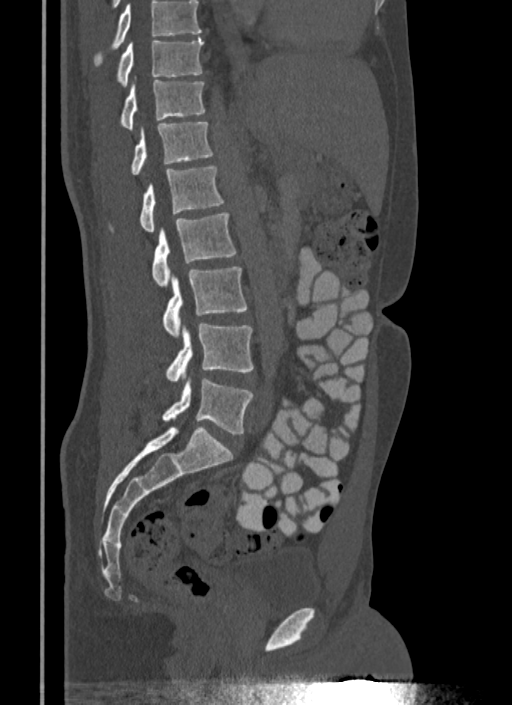 Spine CT. sagittal view. 512x705 px. the image is 340 mm wide. Boxes: x1:y1:x2:y2 in pixels.
No box is given to a vertebra that the top edge of the scan cuts off.
Vertebra bounding boxes:
- T10: 117:38:204:86
- T11: 120:80:205:130
- T12: 131:122:213:175
- L1: 110:166:223:232
- L2: 152:212:235:287
- L3: 162:267:247:336
- L4: 165:322:253:381
- L5: 162:378:253:434